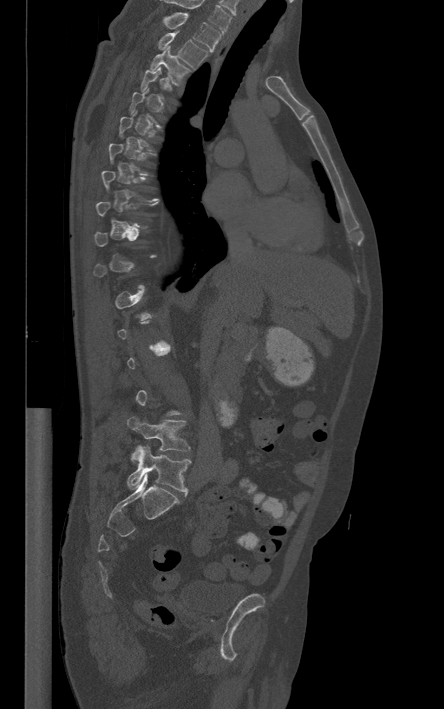
CT spine — sagittal view — Bone window (WL 400, WW 1800) — 444x709 px
Each vertebra maps to its box as [x1, y1, x2, y2], the pixel coordinates of its top-left and bottom-right corners.
Not every vertebra on this slice has a box: a vertebra is boxed only from the first to the last slice where its cross-section is at least a third of its largest, and this slice is outside that range for at least one of them.
This scan's labels start at T1 at the top and end at L5 at the bottom.
{"vertebrae":{"L5":[127,445,190,492],"L4":[127,417,189,459],"T3":[150,45,190,84],"T2":[158,32,207,68],"T1":[164,13,220,51]}}